Computed tomography of the spine; sagittal reformat; bone-window reconstruction
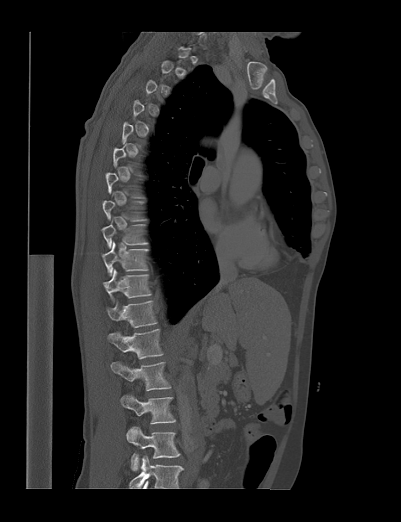 Each vertebra is boxed only on the slices from the first to the last where its cross-section reaches a third of its largest, so a slice outside that range leaves it unboxed.
This scan's labels start at T1 at the top and end at L4 at the bottom.
<vertebrae><v name="L4" x1="126" y1="426" x2="180" y2="470"/><v name="L3" x1="121" y1="394" x2="175" y2="423"/><v name="L2" x1="110" y1="361" x2="170" y2="390"/><v name="L1" x1="108" y1="329" x2="162" y2="358"/><v name="T12" x1="106" y1="300" x2="157" y2="327"/><v name="T11" x1="102" y1="269" x2="151" y2="298"/><v name="T10" x1="101" y1="241" x2="148" y2="276"/><v name="T9" x1="101" y1="220" x2="147" y2="248"/><v name="T8" x1="102" y1="200" x2="145" y2="220"/></vertebrae>